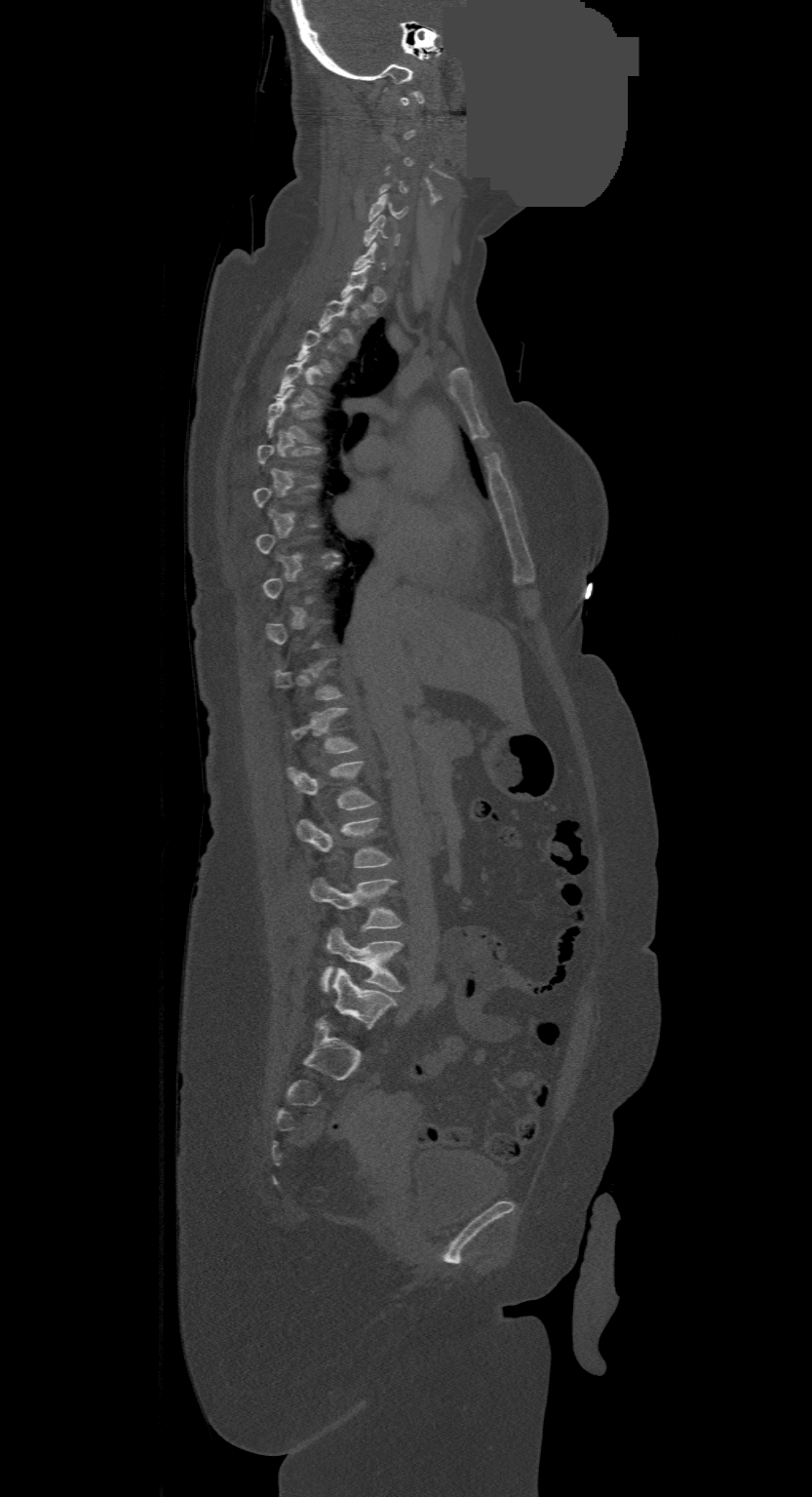
Spine CT; sagittal view; bone window; image 500 mm wide; 812x1497 px; an area of the scan was removed and filled with constant pixels

Box edges are left/top/right/bottom in pixels.
Not every vertebra on this slice has a box: a vertebra is boxed only from the first to the last slice where its cross-section is at least a third of its largest, and this slice is outside that range for at least one of them.
In this scan, the topmost labeled vertebra is C1 and the lowest is L4.
C5: left=368, top=194, right=406, bottom=220
C6: left=364, top=215, right=399, bottom=247
T1: left=341, top=265, right=376, bottom=315
T2: left=319, top=295, right=355, bottom=344
T4: left=276, top=355, right=320, bottom=406
T5: left=266, top=387, right=318, bottom=442
T12: left=289, top=707, right=358, bottom=754
L1: left=288, top=761, right=375, bottom=808
L2: left=296, top=818, right=391, bottom=867
L3: left=311, top=877, right=402, bottom=929
L4: left=322, top=926, right=404, bottom=993